CT spine; sagittal view; W/L 1800/400 HU
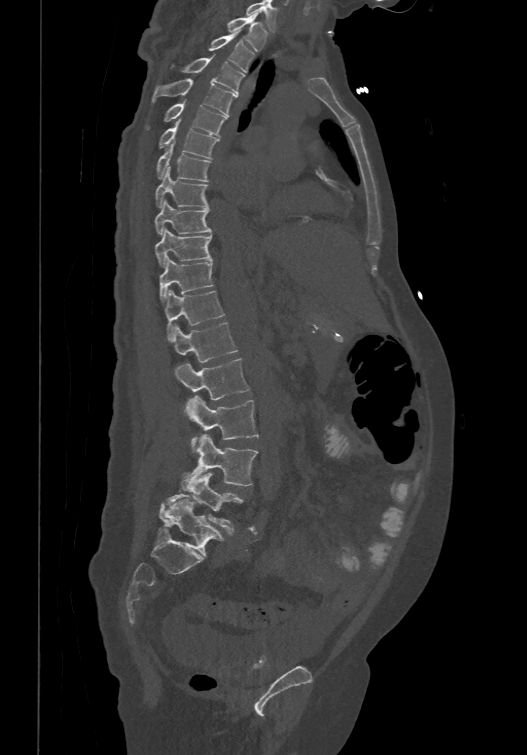
Each box is [x1, y1, x2, y2] in pixels: top-left corner, then bottom-right corner.
These labels give the spine a sixth lumbar vertebra, L6, below L5.
{"vertebrae":{"T1":[226,11,266,50],"T2":[208,30,254,71],"T3":[181,54,245,92],"T4":[152,77,237,114],"T5":[147,100,227,134],"T6":[158,120,219,157],"T7":[156,141,211,181],"T8":[155,166,208,206],"T9":[154,198,211,233],"T10":[154,227,211,268],"T11":[159,255,213,302],"T12":[165,288,224,339],"L1":[171,322,238,361],"L2":[175,357,250,400],"L3":[185,395,258,445],"L4":[181,434,258,490],"L5":[158,473,243,531],"L6":[158,499,224,555]}}